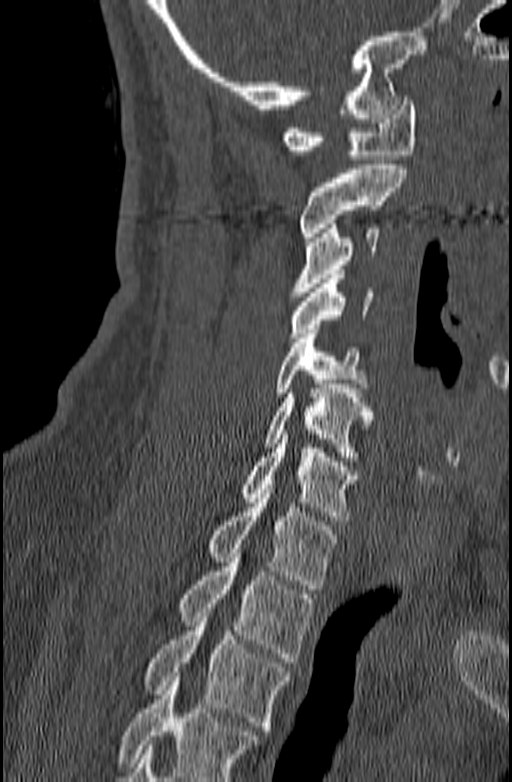 Spine computed tomography; sagittal reformat; the image spans 140 mm across; 512x782 px

Bounding boxes as [x1, y1, x2, y2] in pixel coordinates.
Where the bottom of the scan cuts through a vertebra, that vertebra gets no label or box.
C1: [281, 96, 416, 159]
C2: [298, 165, 406, 241]
C3: [290, 224, 379, 296]
C4: [290, 274, 373, 337]
C5: [276, 329, 367, 397]
C6: [264, 384, 372, 461]
C7: [239, 434, 359, 520]
T1: [206, 489, 340, 589]
T2: [177, 549, 314, 662]
T3: [145, 608, 289, 730]